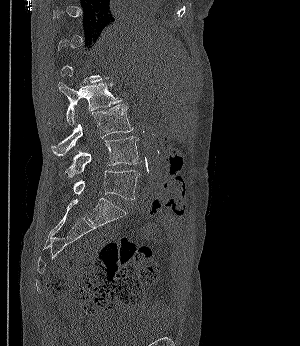
CT · sagittal view · 300x346 px

Boxes: x1:y1:x2:y2 in pixels.
Each vertebra is boxed only on the slices from the first to the last where its cross-section reaches a third of its largest, so a slice outside that range leaves it unboxed.
Vertebra bounding boxes:
- L5: 73:170:139:200
- L4: 65:136:141:177
- L3: 51:104:133:155
- L2: 48:82:121:124